CT, spine; sagittal view; 210x292 px
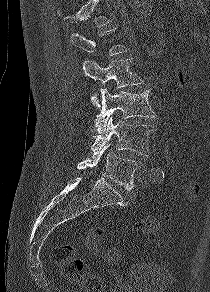 Not every vertebra on this slice has a box: a vertebra is boxed only from the first to the last slice where its cross-section is at least a third of its largest, and this slice is outside that range for at least one of them.
<vertebrae><v name="L2" x1="82" y1="58" x2="143" y2="107"/><v name="L3" x1="95" y1="88" x2="156" y2="133"/><v name="L4" x1="91" y1="116" x2="152" y2="155"/><v name="L5" x1="77" y1="144" x2="136" y2="190"/></vertebrae>